CT, spine · 140 mm image width · sagittal reformat
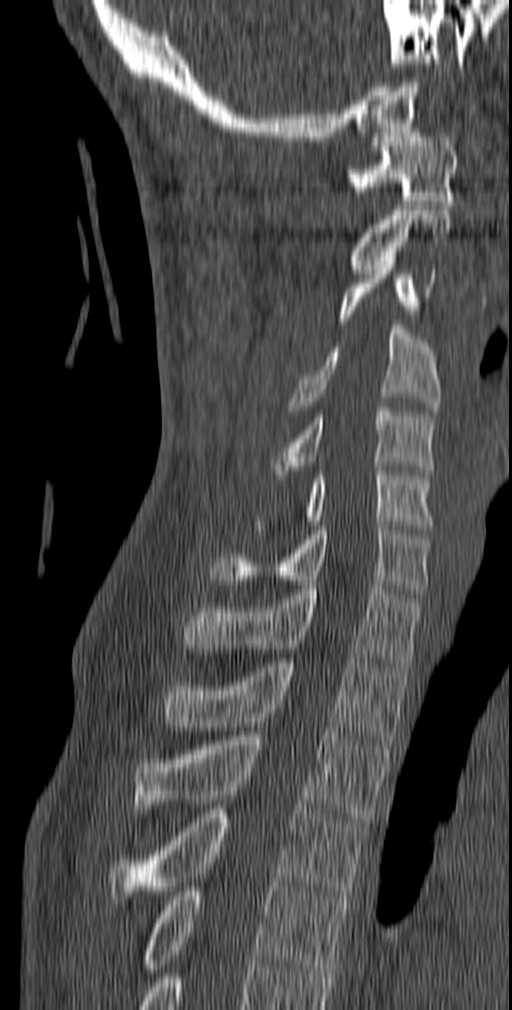
In the table, x1 and y1 are a box's top-left corner and x2 and y2 its bottom-right corner, in pixels.
| vertebra | x1 | y1 | x2 | y2 |
|---|---|---|---|---|
| T5 | 141 | 882 | 348 | 977 |
| T4 | 110 | 809 | 366 | 904 |
| T3 | 133 | 731 | 390 | 826 |
| T2 | 161 | 658 | 410 | 740 |
| T1 | 184 | 585 | 423 | 671 |
| C7 | 210 | 526 | 431 | 593 |
| C6 | 261 | 466 | 433 | 534 |
| C5 | 269 | 407 | 436 | 474 |
| C4 | 285 | 325 | 441 | 415 |
| C3 | 338 | 261 | 436 | 324 |
| C2 | 349 | 210 | 451 | 273 |
| C1 | 345 | 128 | 458 | 205 |